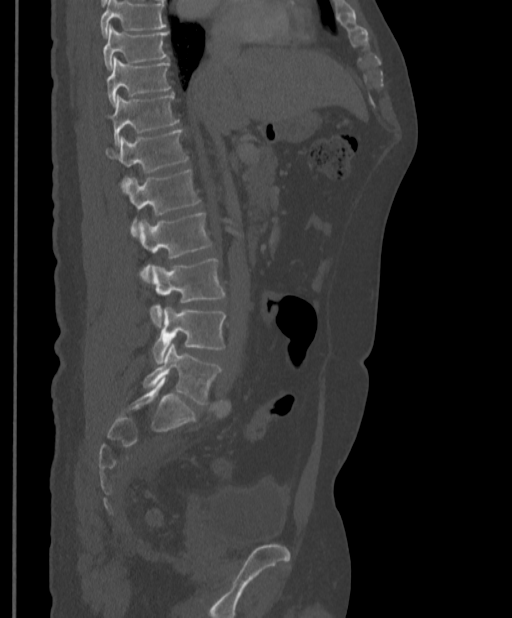

CT, spine. sagittal view. Each box given as x1,y1,x2,y2.
Vertebrae that run past the top of the scan are left unlabeled.
Vertebra bounding boxes:
- T9: x1=103, y1=26, x2=168, y2=69
- T10: x1=107, y1=57, x2=170, y2=105
- T11: x1=109, y1=94, x2=179, y2=145
- T12: x1=106, y1=129, x2=188, y2=187
- L1: x1=124, y1=169, x2=201, y2=235
- L2: x1=137, y1=213, x2=213, y2=283
- L3: x1=150, y1=258, x2=225, y2=327
- L4: x1=152, y1=307, x2=226, y2=363
- L5: x1=143, y1=343, x2=222, y2=404